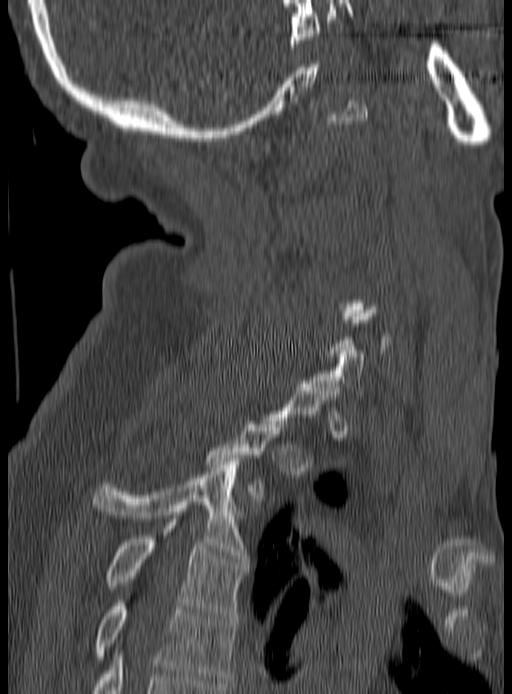 Spine computed tomography — sagittal view — bone-window reconstruction — 512x694 px. Each row gives a vertebra's box as x1, y1, x2, y2 in pixels: top-left corner, then bottom-right corner.
A vertebra is boxed only from the first to the last slice where its cross-section is at least a third of its largest; slices outside that range leave it without a box.
| vertebra | x1 | y1 | x2 | y2 |
|---|---|---|---|---|
| T2 | 206 | 418 | 287 | 504 |
| T3 | 95 | 458 | 248 | 562 |
| T4 | 106 | 522 | 248 | 619 |
| T5 | 95 | 600 | 237 | 686 |